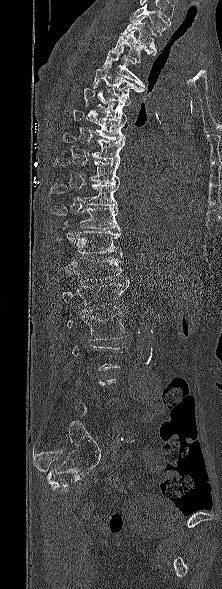 Spine computed tomography · sagittal view
Boxes: x1:y1:x2:y2 in pixels. Not every vertebra on this slice has a box: a vertebra is boxed only from the first to the last slice where its cross-section is at least a third of its largest, and this slice is outside that range for at least one of them. Labels in this scan begin with T1 at the top and end with L5 at the bottom. Vertebrae labeled: L2 at 67:313:126:340, L1 at 62:280:129:311, T12 at 69:257:122:282, T11 at 54:231:122:255, T10 at 51:206:120:230, T9 at 50:183:119:208, T8 at 55:157:119:184, T7 at 62:133:124:160, T6 at 73:109:125:140, T5 at 83:87:131:121, T4 at 93:64:143:98, T3 at 102:46:145:87, T2 at 112:30:152:62, T1 at 120:16:156:55.